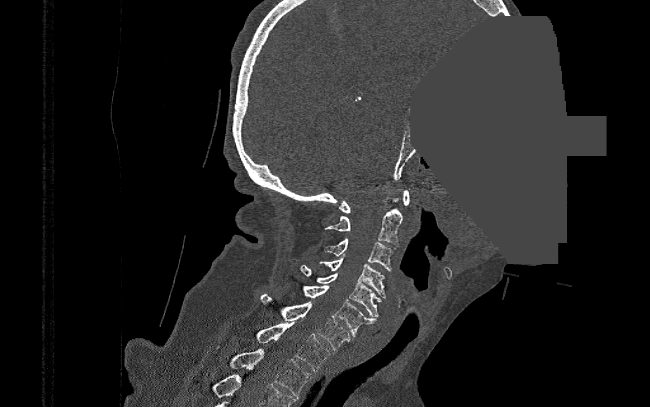
Spine CT. sagittal view. a region is masked with a constant gray value

Each box given as x1,y1,x2,y2.
Vertebra bounding boxes:
- T2: x1=215, y1=349, x2=311, y2=398
- T1: x1=255, y1=322, x2=330, y2=371
- C7: x1=260, y1=294, x2=351, y2=350
- C6: x1=303, y1=285, x2=377, y2=336
- C5: x1=300, y1=266, x2=381, y2=317
- C4: x1=319, y1=258, x2=385, y2=298
- C3: x1=324, y1=239, x2=395, y2=271
- C2: x1=325, y1=198, x2=403, y2=244
- C1: x1=339, y1=190, x2=409, y2=213